CT spine · sagittal view
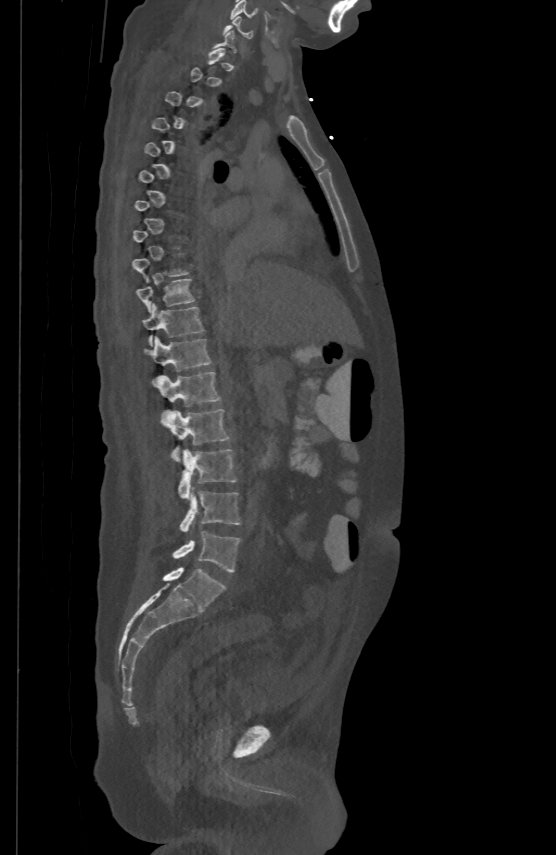
Bounding boxes as [x1, y1, x2, y2] in pixel coordinates. A vertebra is boxed only from the first to the last slice where its cross-section is at least a third of its largest; slices outside that range leave it without a box. 10 vertebrae labeled — C5 at [230, 0, 257, 18]; C6 at [224, 15, 252, 38]; T10 at [137, 277, 194, 311]; T11 at [143, 303, 203, 345]; T12 at [144, 336, 212, 381]; L1 at [157, 371, 220, 405]; L2 at [162, 409, 229, 462]; L3 at [178, 450, 237, 497]; L4 at [180, 491, 240, 531]; L5 at [173, 532, 240, 572].